CT. Sagittal slice 262/512. 512x263 px. 10 vertebrae labeled in this scan
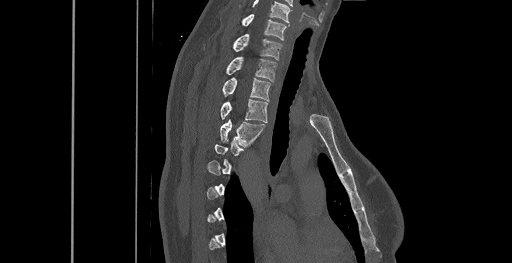

Boxes are (x1, y1, x2, y2) in pixels.
A vertebra gets a box only on the slices from the first to the last where its cross-section is at least a third of its largest; on a slice outside that range it gets none.
In this scan, the topmost labeled vertebra is C6 and the lowest is T8.
C6: (241, 14, 286, 40)
C7: (232, 34, 281, 60)
T1: (226, 57, 276, 81)
T2: (223, 77, 270, 101)
T3: (220, 99, 268, 122)
T4: (219, 120, 264, 145)